CT spine; Sagittal slice 230/512
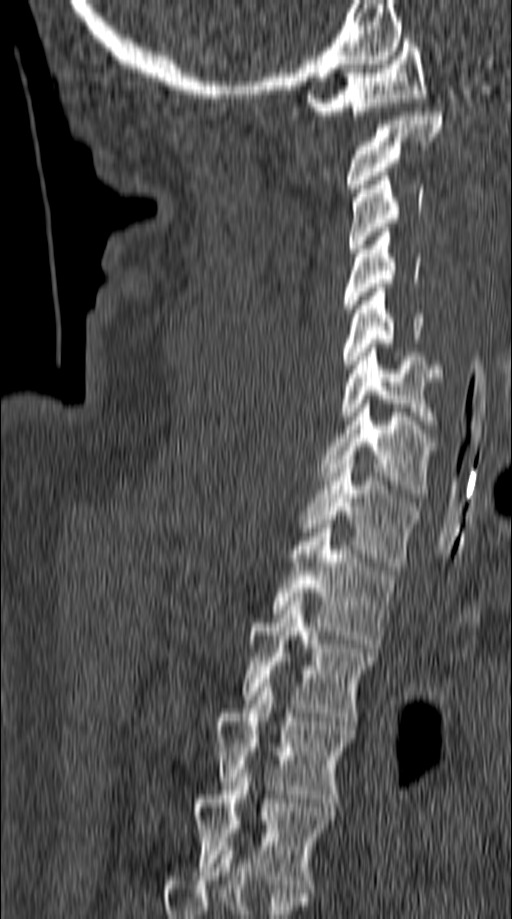
Box edges are left/top/right/bottom in pixels.
Vertebra bounding boxes:
- C1: left=306, top=39, right=426, bottom=119
- C2: left=345, top=112, right=443, bottom=192
- C3: left=348, top=172, right=423, bottom=252
- C4: left=345, top=228, right=421, bottom=313
- C5: left=342, top=288, right=423, bottom=368
- C6: left=340, top=344, right=442, bottom=424
- C7: left=318, top=404, right=437, bottom=497
- T1: left=298, top=460, right=417, bottom=566
- T2: left=273, top=524, right=395, bottom=648
- T3: left=242, top=597, right=375, bottom=721
- T4: left=214, top=683, right=354, bottom=807
- T5: left=194, top=773, right=334, bottom=892